Spine CT · 482 mm across the image · sagittal plane, index 55 · bone-window reconstruction · scan covers 8 annotated vertebrae
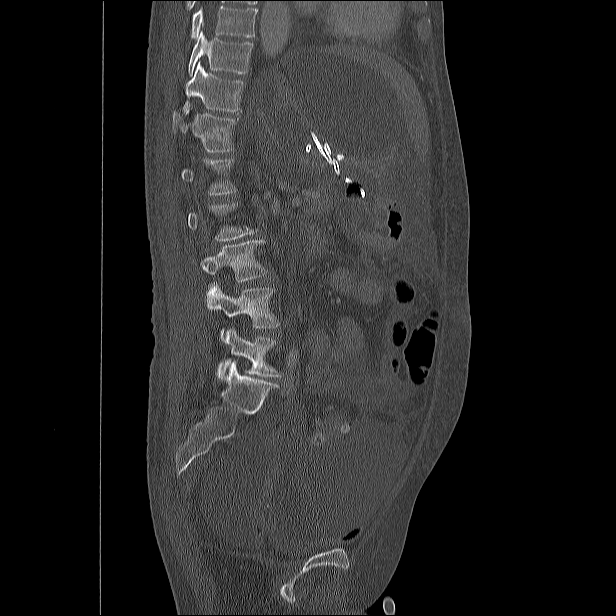

Not every vertebra on this slice has a box: a vertebra is boxed only from the first to the last slice where its cross-section is at least a third of its largest, and this slice is outside that range for at least one of them.
No box is given to a vertebra that the top edge of the scan cuts off.
<vertebrae><v name="T10" x1="188" y1="30" x2="253" y2="75"/><v name="T11" x1="183" y1="62" x2="243" y2="113"/><v name="T12" x1="172" y1="112" x2="238" y2="152"/><v name="L1" x1="181" y1="157" x2="237" y2="194"/><v name="L3" x1="201" y1="239" x2="267" y2="281"/><v name="L4" x1="207" y1="284" x2="279" y2="327"/><v name="L5" x1="217" y1="328" x2="281" y2="377"/></vertebrae>